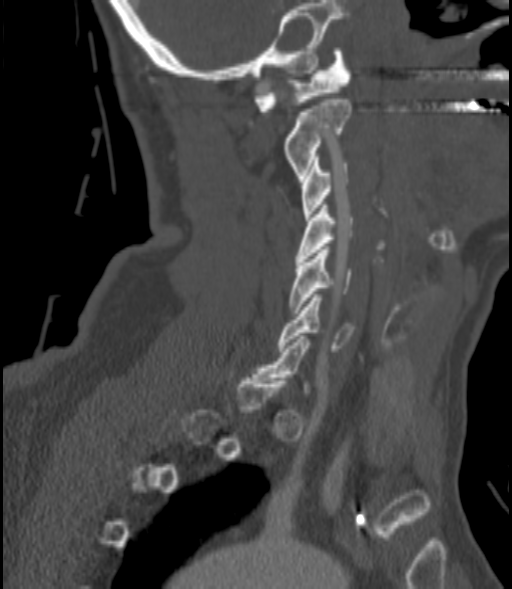

Spine CT; sagittal view; the image is 200 mm wide; Bone window (WL 400, WW 1800)

Boxes: x1 y1 x2 y2 (pixel coords, space-separated).
Not every vertebra on this slice has a box: a vertebra is boxed only from the first to the last slice where its cross-section is at least a third of its largest, and this slice is outside that range for at least one of them.
Vertebra bounding boxes:
- C1: 254 48 351 111
- C2: 285 99 351 178
- C3: 303 157 348 220
- C4: 295 205 353 261
- C5: 290 246 352 313
- C6: 277 294 354 351